Computed tomography of the spine · Sagittal slice 220/512 · 512x589 px · 200 mm wide
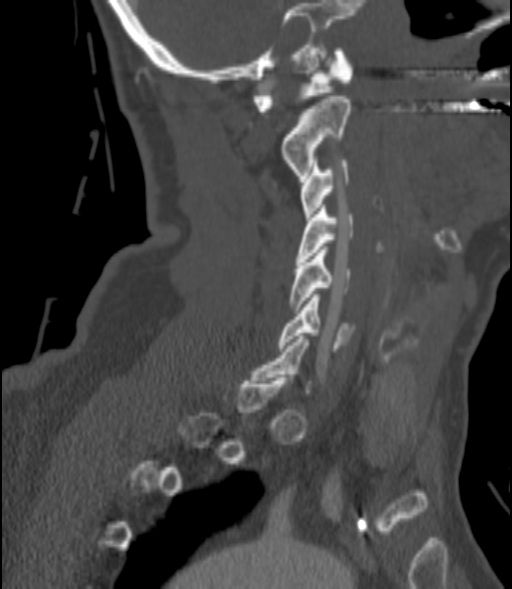

Boxes: x1:y1:x2:y2 in pixels. Each vertebra is boxed only on the slices from the first to the last where its cross-section reaches a third of its largest, so a slice outside that range leaves it unboxed. The labeled vertebrae in this slice are: C1 at 253:48:353:111, C2 at 282:96:351:178, C3 at 300:160:348:220, C4 at 297:208:353:261, C5 at 290:246:351:309, C6 at 278:294:354:351.